Spine CT; sagittal view; W/L 1800/400 HU; 512x757 px
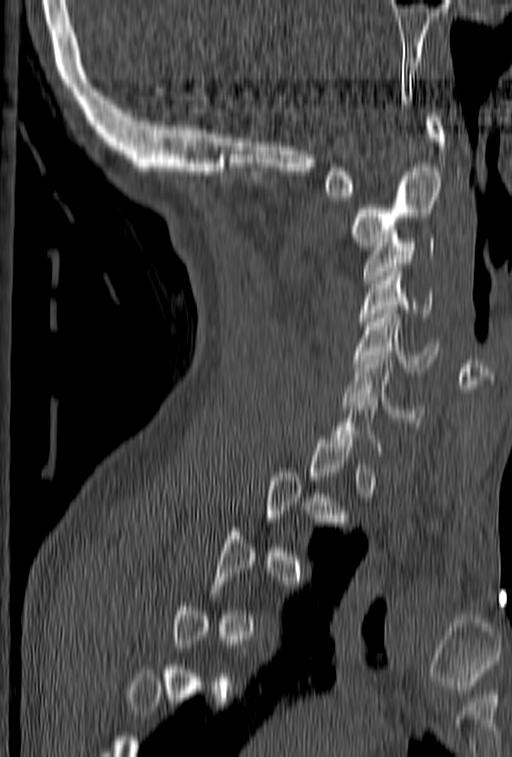

Box edges are left/top/right/bottom in pixels.
Not every vertebra on this slice has a box: a vertebra is boxed only from the first to the last slice where its cross-section is at least a third of its largest, and this slice is outside that range for at least one of them.
C6: left=343, top=356, right=423, bottom=421
C5: left=353, top=305, right=439, bottom=371
C4: left=359, top=264, right=435, bottom=329
C3: left=363, top=238, right=435, bottom=283
C2: left=353, top=167, right=442, bottom=250
C1: left=323, top=113, right=445, bottom=196